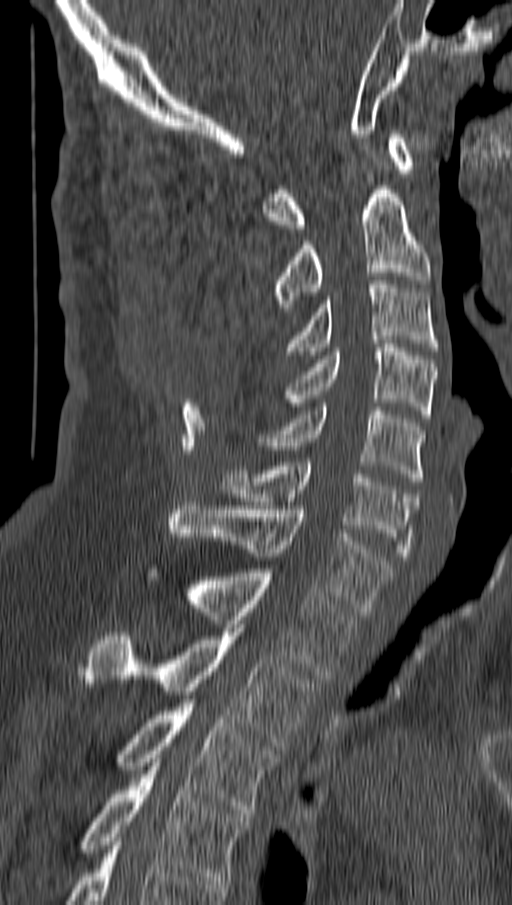

Spine CT — sagittal reformat — bone window — image 162 mm wide

<vertebrae><v name="C1" x1="263" y1="134" x2="414" y2="232"/><v name="C2" x1="273" y1="186" x2="430" y2="311"/><v name="C3" x1="286" y1="280" x2="439" y2="359"/><v name="C4" x1="286" y1="344" x2="436" y2="418"/><v name="C5" x1="260" y1="407" x2="424" y2="485"/><v name="C6" x1="221" y1="462" x2="417" y2="560"/><v name="C7" x1="169" y1="502" x2="392" y2="615"/><v name="T1" x1="150" y1="565" x2="357" y2="679"/><v name="T2" x1="83" y1="628" x2="316" y2="750"/><v name="T3" x1="115" y1="699" x2="278" y2="817"/><v name="T4" x1="80" y1="762" x2="250" y2="884"/></vertebrae>